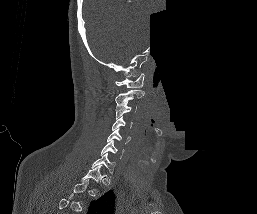
CT spine · sagittal reformat · bone window · 257x214 px · a portion of the image is blanked out (constant pixel value). Boxes are (x1, y1, x2, y2) in pixels.
This scan's labels start at C1 at the top and end at T1 at the bottom.
Vertebra bounding boxes:
- C1: (115, 73, 144, 88)
- C2: (115, 89, 144, 106)
- C3: (115, 102, 137, 118)
- C4: (111, 116, 133, 130)
- C5: (107, 128, 131, 144)
- C6: (100, 140, 124, 158)
- C7: (91, 153, 115, 176)
- T1: (81, 165, 106, 190)